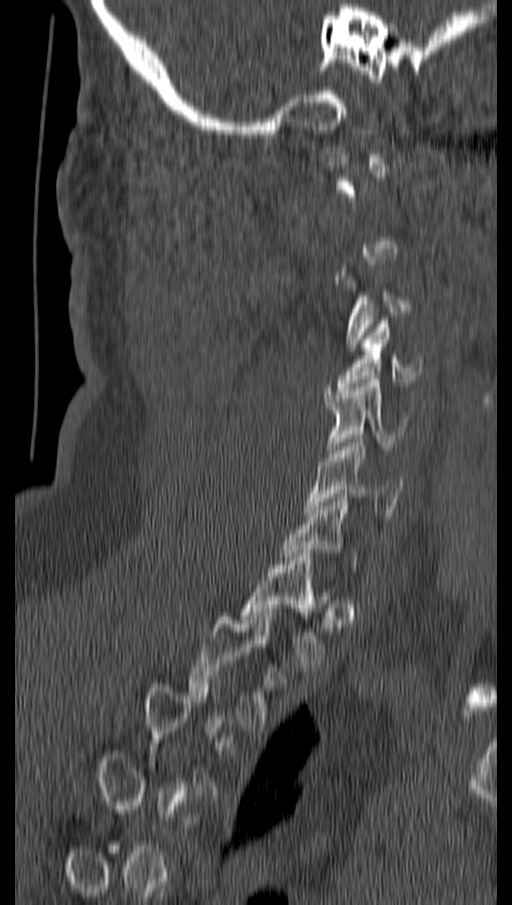
Spine CT · sagittal view · W/L 1800/400 HU · 512x905 px
Each box given as x1,y1,x2,y2.
A vertebra gets a box only on the slices from the first to the last where its cross-section is at least a third of its largest; on a slice outside that range it gets none.
| vertebra | x1 | y1 | x2 | y2 |
|---|---|---|---|---|
| T2 | 188 | 612 | 275 | 726 |
| T1 | 241 | 553 | 331 | 667 |
| C6 | 304 | 435 | 402 | 513 |
| C5 | 326 | 379 | 407 | 453 |
| C4 | 336 | 320 | 423 | 390 |
| C3 | 340 | 265 | 410 | 351 |